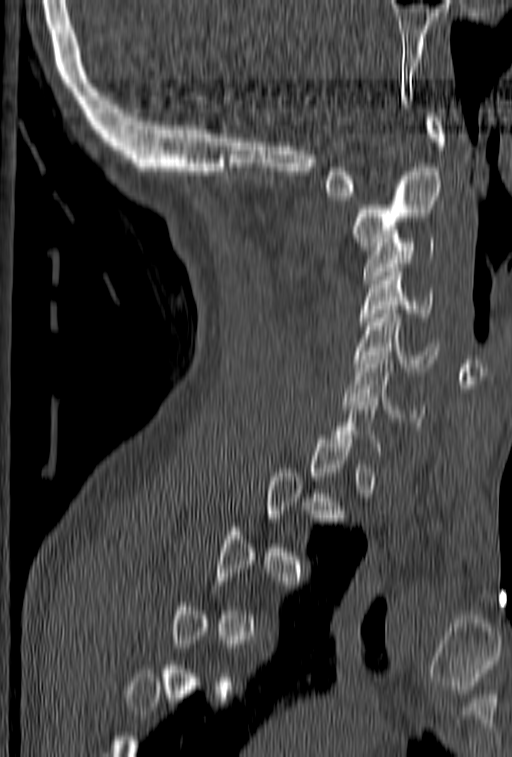

Computed tomography of the spine — sagittal view — Bone window (WL 400, WW 1800). Columns x1, y1, x2, y2 give each box's top-left and bottom-right pixels.
Each vertebra is boxed only on the slices from the first to the last where its cross-section reaches a third of its largest, so a slice outside that range leaves it unboxed.
| vertebra | x1 | y1 | x2 | y2 |
|---|---|---|---|---|
| C1 | 324 | 113 | 444 | 196 |
| C2 | 353 | 167 | 442 | 250 |
| C3 | 363 | 238 | 435 | 283 |
| C4 | 359 | 264 | 435 | 329 |
| C5 | 353 | 305 | 439 | 371 |
| C6 | 343 | 356 | 424 | 421 |